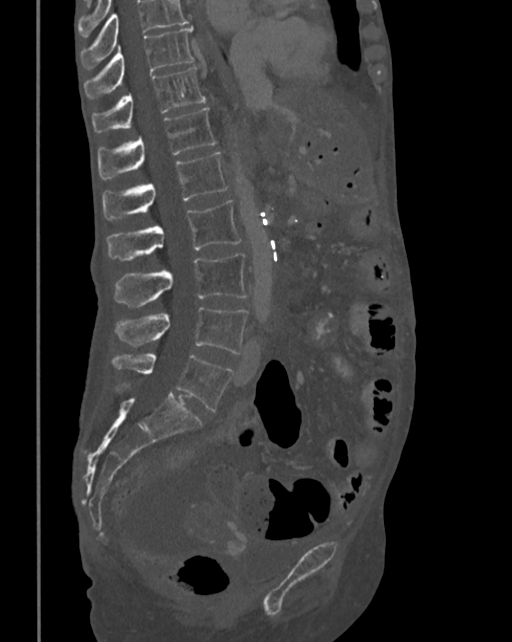

Computed tomography of the spine · sagittal reformat
Boxes: x1 y1 x2 y2 (pixel coords, space-separated).
Vertebrae that run past the top of the scan are left unlabeled.
L5: 112 354 232 411
L4: 115 307 248 354
L3: 115 254 247 308
L2: 108 199 241 260
L1: 102 152 228 219
T12: 97 108 216 179
T11: 93 66 205 133
T10: 84 26 193 99